Spine computed tomography. sagittal view. 512x512 px. scan covers 10 annotated vertebrae
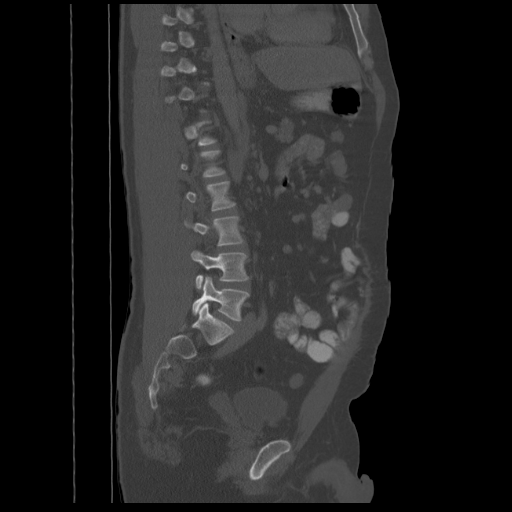 Each box is [x1, y1, x2, y2] in pixels: top-left corner, then bottom-right corner.
Each vertebra is boxed only on the slices from the first to the last where its cross-section reaches a third of its largest, so a slice outside that range leaves it unboxed.
{"vertebrae":{"L2":[186,181,235,210],"L3":[184,216,243,246],"L4":[192,250,248,289],"L5":[192,277,248,320]}}